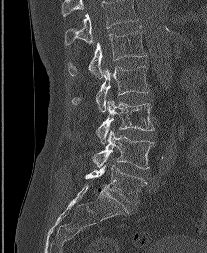 CT, spine · sagittal view
Each box is [x1, y1, x2, y2] in pixels: top-left corner, then bottom-right corner.
Labels in this scan begin with L1 at the top and end with L5 at the bottom.
{"vertebrae":{"L1":[68,26,146,77],"L2":[71,66,149,111],"L3":[96,98,154,143],"L4":[93,130,154,169],"L5":[85,166,146,203]}}